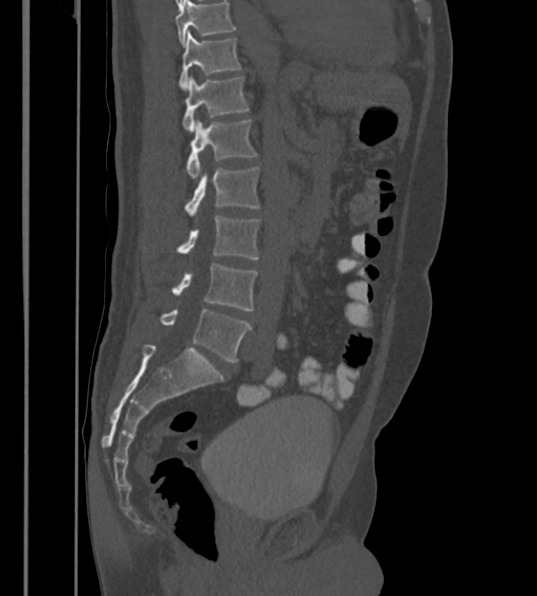 Spine CT. sagittal view. bone-window reconstruction. image 430 mm wide

This scan's labels start at T12 at the top and end at L6 at the bottom.
The labels name a sixth lumbar vertebra for this spine: L6, after L5.
<vertebrae><v name="T12" x1="178" y1="30" x2="240" y2="89"/><v name="L1" x1="182" y1="76" x2="249" y2="131"/><v name="L2" x1="186" y1="119" x2="258" y2="179"/><v name="L3" x1="185" y1="167" x2="260" y2="216"/><v name="L4" x1="177" y1="215" x2="260" y2="259"/><v name="L5" x1="172" y1="264" x2="256" y2="310"/><v name="L6" x1="159" y1="309" x2="252" y2="361"/></vertebrae>